Spine CT — sagittal reformat — 512x850 px — scan covers 19 annotated vertebrae
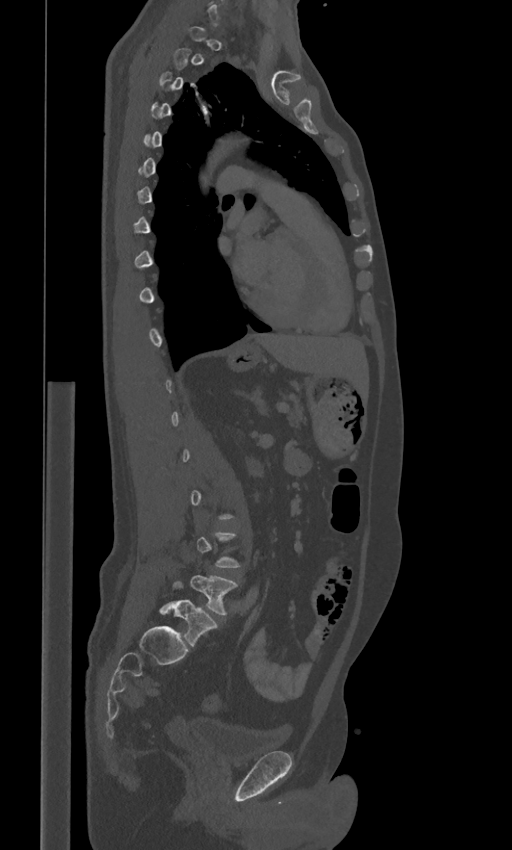

Boxes: x1:y1:x2:y2 in pixels.
A vertebra is boxed only from the first to the last slice where its cross-section is at least a third of its largest; slices outside that range leave it without a box.
In these labels the spine has an L6, a sixth lumbar vertebra below L5.
Vertebra bounding boxes:
- L5: 191:575:237:614
- L6: 160:580:216:646